CT spine — Sagittal slice 135/300 — the image spans 300 mm across — bone-window reconstruction
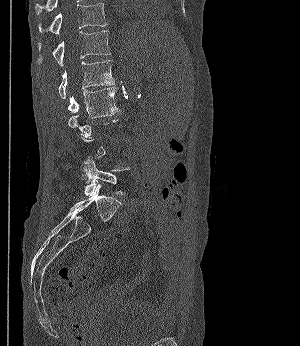

A vertebra is boxed only from the first to the last slice where its cross-section is at least a third of its largest; slices outside that range leave it without a box.
<vertebrae><v name="T11" x1="38" y1="3" x2="106" y2="34"/><v name="T12" x1="38" y1="30" x2="110" y2="66"/><v name="L1" x1="58" y1="60" x2="113" y2="99"/><v name="L2" x1="68" y1="87" x2="121" y2="118"/><v name="L5" x1="84" y1="156" x2="131" y2="196"/></vertebrae>